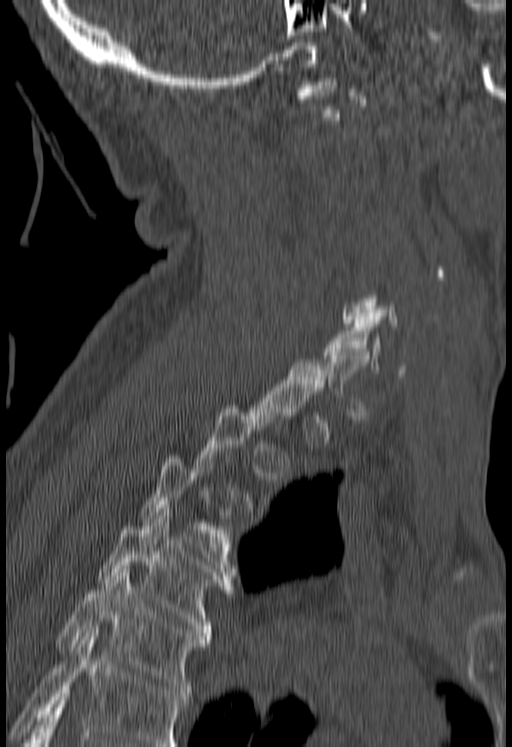
Computed tomography of the spine; sagittal reformat; bone window; 512x747 px
Boxes are (x1, y1, x2, y2) in pixels. A vertebra is boxed only from the first to the last slice where its cross-section is at least a third of its largest; slices outside that range leave it without a box. Where the bottom of the scan cuts through a vertebra, that vertebra gets no label or box. Vertebrae labeled: C6 at (323, 316, 404, 376), T3 at (140, 455, 236, 568), T4 at (98, 512, 236, 639), T5 at (55, 569, 210, 696).